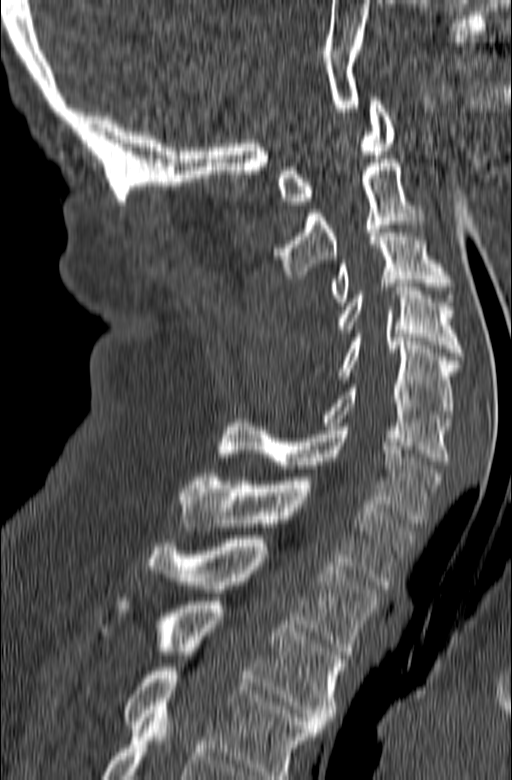 Spine computed tomography — sagittal view — bone-window reconstruction — the image spans 165 mm across
Each row gives a vertebra's box as x1, y1, x2, y2 in pixels: top-left corner, then bottom-right corner.
The highest labeled vertebra in this scan is C1; the lowest is T3.
| vertebra | x1 | y1 | x2 | y2 |
|---|---|---|---|---|
| C1 | 277 | 97 | 394 | 205 |
| C2 | 277 | 159 | 426 | 278 |
| C3 | 330 | 225 | 455 | 305 |
| C4 | 336 | 283 | 462 | 356 |
| C5 | 338 | 334 | 459 | 418 |
| C6 | 323 | 380 | 450 | 464 |
| C7 | 218 | 419 | 441 | 523 |
| T1 | 179 | 473 | 416 | 585 |
| T2 | 143 | 539 | 379 | 655 |
| T3 | 100 | 597 | 344 | 728 |